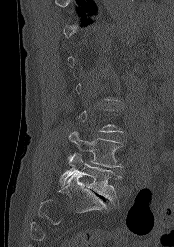
Computed tomography of the spine · the image spans 174 mm across · sagittal view. Bounding boxes as [x1, y1, x2, y2] in pixel coordinates.
A vertebra is boxed only from the first to the last slice where its cross-section is at least a third of its largest; slices outside that range leave it without a box.
L4: [69, 131, 122, 167]
L5: [59, 153, 121, 201]